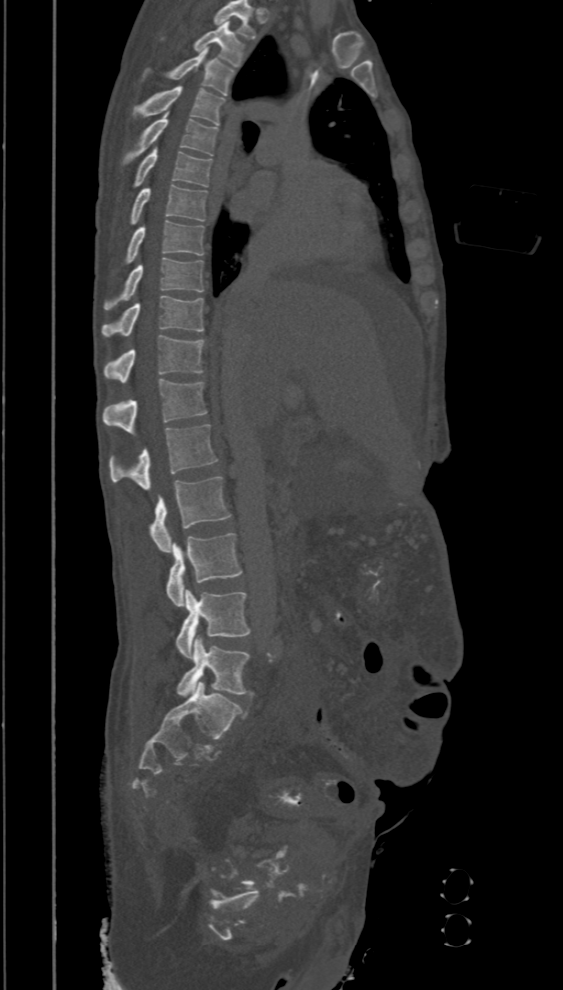

Computed tomography of the spine — sagittal reformat. Columns x1, y1, x2, y2 give each box's top-left and bottom-right pixels.
This scan's labels start at T2 at the top and end at L5 at the bottom.
| vertebra | x1 | y1 | x2 | y2 |
|---|---|---|---|---|
| T2 | 195 | 22 | 243 | 66 |
| T3 | 168 | 49 | 233 | 95 |
| T4 | 131 | 86 | 224 | 125 |
| T5 | 121 | 112 | 218 | 165 |
| T6 | 133 | 146 | 211 | 188 |
| T7 | 129 | 185 | 206 | 225 |
| T8 | 121 | 220 | 203 | 265 |
| T9 | 104 | 257 | 203 | 309 |
| T10 | 101 | 295 | 203 | 336 |
| T11 | 103 | 335 | 205 | 382 |
| T12 | 102 | 379 | 206 | 435 |
| L1 | 110 | 425 | 218 | 491 |
| L2 | 148 | 476 | 230 | 552 |
| L3 | 167 | 533 | 242 | 606 |
| L4 | 176 | 589 | 251 | 658 |
| L5 | 176 | 636 | 250 | 697 |